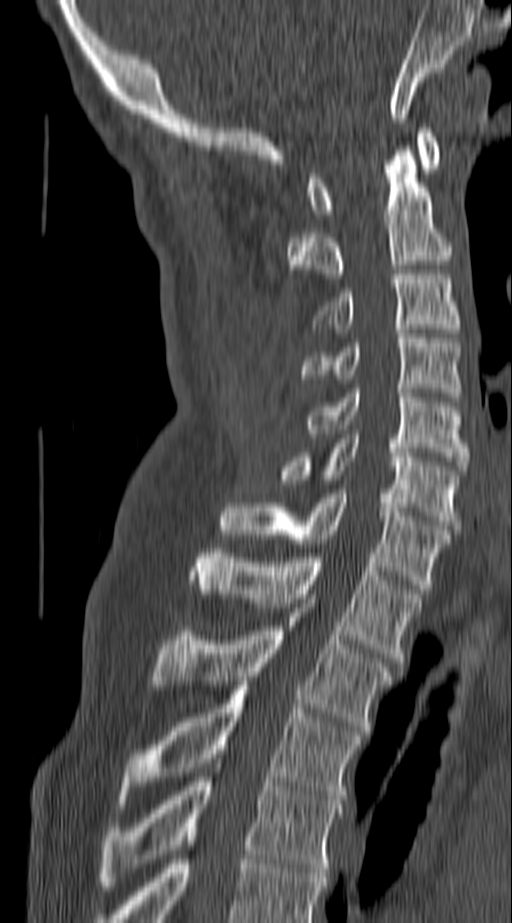
CT · sagittal view · W/L 1800/400 HU
Box edges are left/top/right/bottom in pixels.
Vertebra bounding boxes:
- T4: left=100, top=777, right=344, bottom=886
- T3: left=126, top=686, right=362, bottom=804
- T2: left=151, top=603, right=392, bottom=730
- T1: left=192, top=549, right=421, bottom=666
- C7: left=221, top=494, right=450, bottom=589
- C6: left=276, top=434, right=461, bottom=529
- C5: left=302, top=389, right=468, bottom=470
- C4: left=301, top=334, right=461, bottom=397
- C3: left=312, top=274, right=461, bottom=328
- C2: left=287, top=146, right=450, bottom=278
- C1: left=309, top=128, right=439, bottom=218